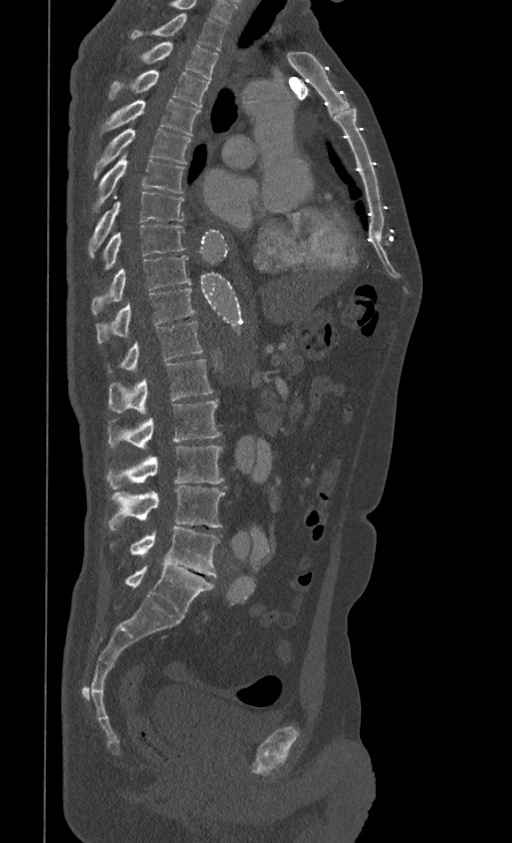 CT spine; sagittal view; 399 mm wide
In this scan, the topmost labeled vertebra is T1 and the lowest is L5.
<vertebrae><v name="L5" x1="126" y1="565" x2="213" y2="618"/><v name="L4" x1="110" y1="527" x2="218" y2="576"/><v name="L3" x1="109" y1="485" x2="225" y2="529"/><v name="L2" x1="106" y1="446" x2="223" y2="489"/><v name="L1" x1="108" y1="401" x2="221" y2="449"/><v name="T12" x1="108" y1="359" x2="213" y2="414"/><v name="T11" x1="109" y1="321" x2="203" y2="372"/><v name="T10" x1="96" y1="288" x2="195" y2="343"/><v name="T9" x1="91" y1="255" x2="190" y2="314"/><v name="T8" x1="103" y1="224" x2="185" y2="268"/><v name="T7" x1="88" y1="192" x2="184" y2="255"/><v name="T6" x1="92" y1="154" x2="184" y2="211"/><v name="T5" x1="94" y1="128" x2="190" y2="179"/><v name="T4" x1="103" y1="99" x2="200" y2="135"/><v name="T3" x1="109" y1="69" x2="209" y2="106"/><v name="T2" x1="136" y1="42" x2="219" y2="80"/><v name="T1" x1="131" y1="13" x2="226" y2="50"/></vertebrae>